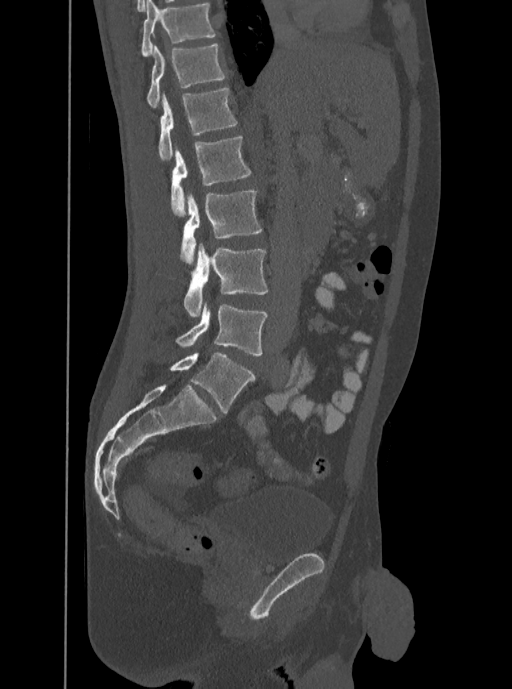 CT, spine · sagittal reformat. Bounding boxes as [x1, y1, x2, y2] in pixel coordinates.
In this scan, the topmost labeled vertebra is T12 and the lowest is L5.
Vertebra bounding boxes:
- T12: [147, 43, 226, 108]
- L1: [158, 87, 237, 161]
- L2: [171, 136, 250, 216]
- L3: [180, 190, 262, 264]
- L4: [184, 244, 268, 316]
- L5: [177, 301, 266, 356]